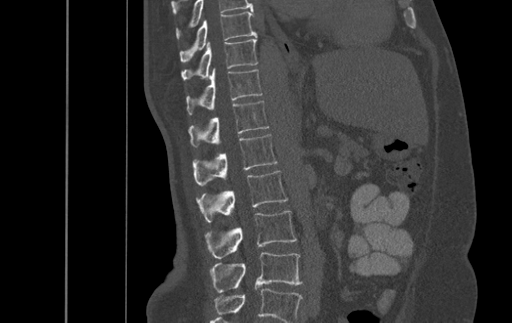
Spine computed tomography; sagittal view; 512x323 px
Bounding boxes as [x1, y1, x2, y2] in pixel coordinates. In this scan, the topmost labeled vertebra is T9 and the lowest is L4. The labeled vertebrae in this slice are: T9 at [179, 11, 256, 61], T10 at [182, 36, 257, 80], T11 at [187, 69, 262, 115], T12 at [189, 100, 268, 146], L1 at [193, 134, 276, 185], L2 at [196, 170, 288, 222], L3 at [205, 210, 296, 258], L4 at [210, 252, 301, 292].